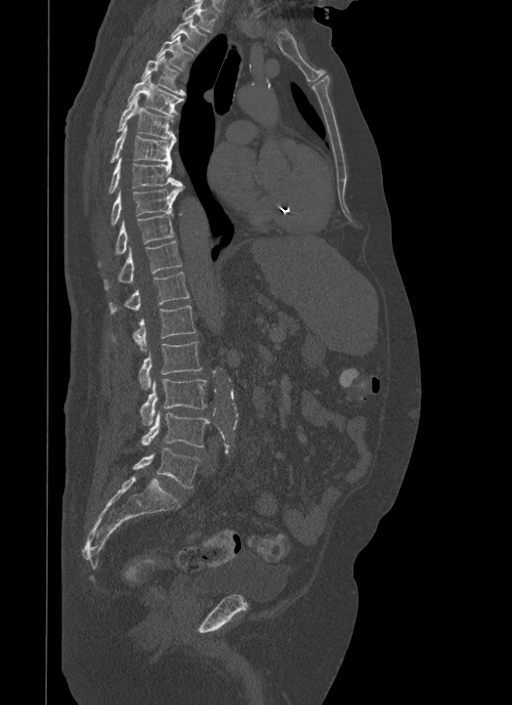 Spine computed tomography · sagittal view · bone window. Coordinates as <box>x1,y1,x2,y2</box>. Vertebrae labeled: L5 at <box>134,447,200,487</box>, L4 at <box>142,411,210,446</box>, L3 at <box>141,379,207,425</box>, L2 at <box>140,341,202,389</box>, L1 at <box>134,305,196,350</box>, T12 at <box>109,271,190,313</box>, T11 at <box>104,241,182,289</box>, T10 at <box>98,213,174,265</box>, T9 at <box>111,182,184,224</box>, T8 at <box>108,158,181,193</box>, T7 at <box>110,124,176,162</box>, T6 at <box>117,96,174,138</box>, T5 at <box>127,75,183,117</box>, T4 at <box>141,55,186,95</box>, T3 at <box>156,35,193,71</box>, T2 at <box>171,18,206,52</box>, T1 at <box>182,0,217,32</box>.